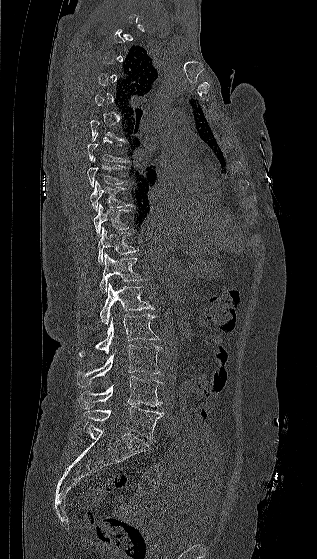 Spine computed tomography; sagittal reformat; the image spans 317 mm across; bone window

Boxes: x1:y1:x2:y2 in pixels. A vertebra is boxed only from the first to the last slice where its cross-section is at least a third of its largest; slices outside that range leave it without a box. The labeled vertebrae in this slice are: T7 at 87:133:129:162, T8 at 87:158:128:187, T9 at 90:180:132:211, T10 at 93:204:130:238, T11 at 98:227:138:264, T12 at 99:253:144:292, L1 at 99:283:155:326, L2 at 79:314:159:356, L3 at 77:345:161:386, L4 at 79:376:162:408, L5 at 83:406:163:439.